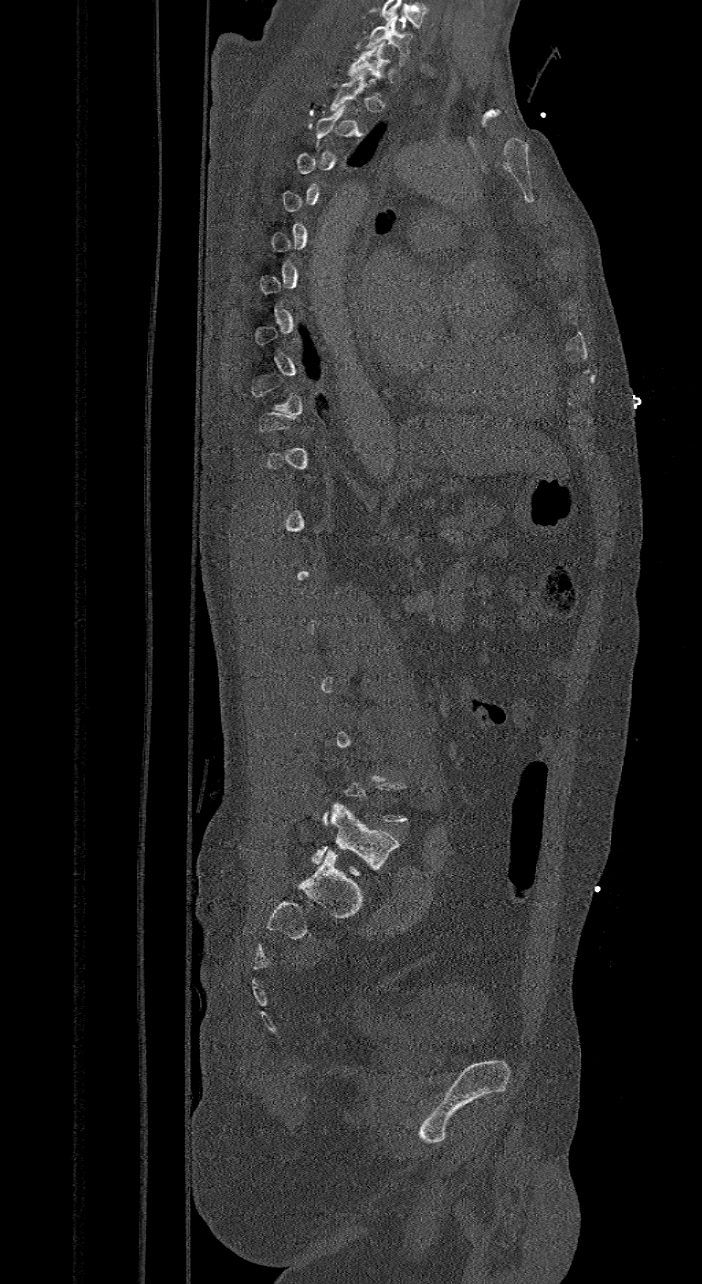 CT, spine — sagittal view — bone window
Each box is [x1, y1, x2, y2] in pixels: top-left corner, then bottom-right corner.
Not every vertebra on this slice has a box: a vertebra is boxed only from the first to the last slice where its cross-section is at least a third of its largest, and this slice is outside that range for at least one of them.
Labels in this scan begin with C7 at the top and end with L6 at the bottom.
In these labels the spine has an L6, a sixth lumbar vertebra below L5.
{"vertebrae":{"C7":[366,18,410,64],"T1":[348,42,387,96],"L6":[311,802,399,874]}}